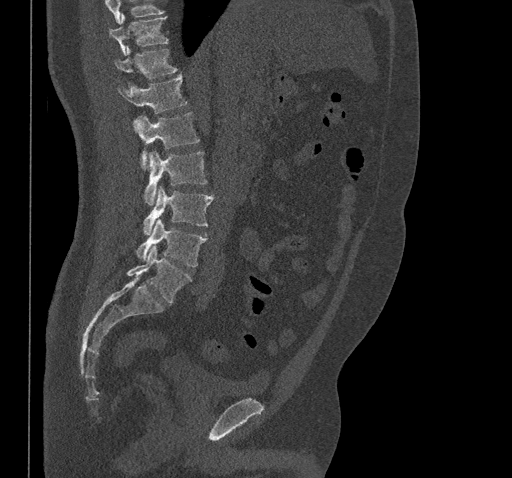

Spine computed tomography. sagittal reformat. Bone window (WL 400, WW 1800)
Each box given as x1,y1,x2,y2.
A vertebra cut off by the top edge of the scan is not labeled and has no box.
L5: x1=127, y1=246, x2=192, y2=304
L4: x1=136, y1=219, x2=206, y2=266
L3: x1=143, y1=187, x2=213, y2=235
L2: x1=143, y1=151, x2=207, y2=205
L1: x1=133, y1=111, x2=199, y2=169
T12: x1=118, y1=74, x2=186, y2=114
T11: x1=114, y1=48, x2=177, y2=79
T10: x1=109, y1=16, x2=169, y2=55